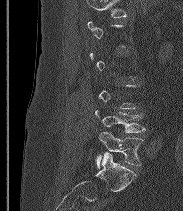
Spine CT. sagittal view. 183x211 px
Box edges are left/top/right/bottom in pixels.
A vertebra gets a box only on the slices from the first to the last where its cross-section is at least a third of its largest; on a slice outside that range it gets none.
These labels give the spine a sixth lumbar vertebra, L6, below L5.
L6: left=96, top=131, right=143, bottom=167
L5: left=95, top=110, right=145, bottom=133